CT spine; sagittal reformat; Bone window (WL 400, WW 1800); scan covers 10 annotated vertebrae
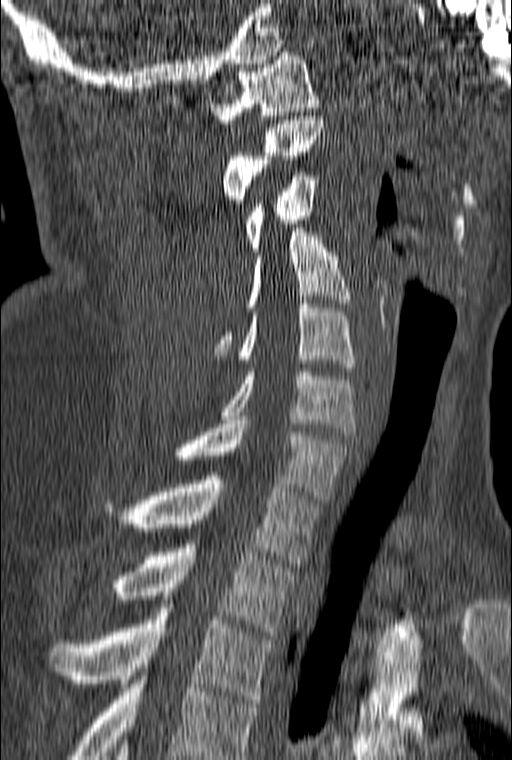
Coordinates as <box>x1,y1,x2,y2</box>.
In this scan, the topmost labeled vertebra is C1 and the lowest is T3.
T3: <box>49,604,275,703</box>
T2: <box>110,544,295,635</box>
T1: <box>104,472,320,567</box>
C7: <box>174,420,349,503</box>
C6: <box>221,368,355,435</box>
C5: <box>238,300,355,371</box>
C4: <box>214,228,349,355</box>
C3: <box>245,172,318,251</box>
C2: <box>222,116,323,207</box>
C1: <box>209,52,320,123</box>